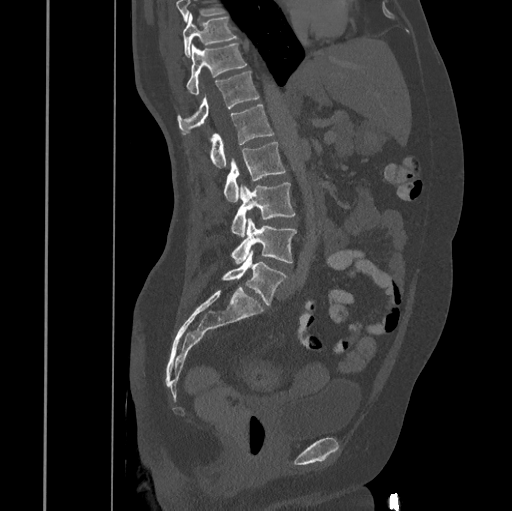

CT — sagittal view — bone window
Boxes below are [x1, y1, x2, y2] in pixels.
No box is given to a vertebra that the top edge of the scan cuts off.
{"vertebrae":{"T10":[183,13,237,57],"T11":[186,43,246,94],"T12":[177,71,259,134],"L1":[209,105,274,168],"L2":[224,141,285,201],"L3":[231,182,295,237],"L4":[231,218,296,264],"L5":[222,251,287,304]}}